Spine computed tomography. sagittal reformat. 9 vertebrae labeled in this scan. 152 mm wide
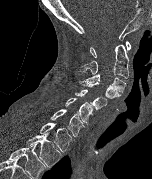
Boxes are given in columns x1, y1, x2, y2, the pixel coordinates of their top-left and bottom-right corners.
Labels in this scan begin with C1 at the top and end with T2 at the bottom.
| vertebra | x1 | y1 | x2 | y2 |
|---|---|---|---|---|
| C1 | 90 | 41 | 131 | 57 |
| C2 | 79 | 44 | 128 | 78 |
| C3 | 85 | 74 | 126 | 93 |
| C4 | 78 | 81 | 121 | 98 |
| C5 | 75 | 89 | 107 | 112 |
| C6 | 65 | 97 | 92 | 124 |
| C7 | 51 | 109 | 84 | 136 |
| T1 | 39 | 123 | 72 | 152 |
| T2 | 26 | 132 | 61 | 167 |